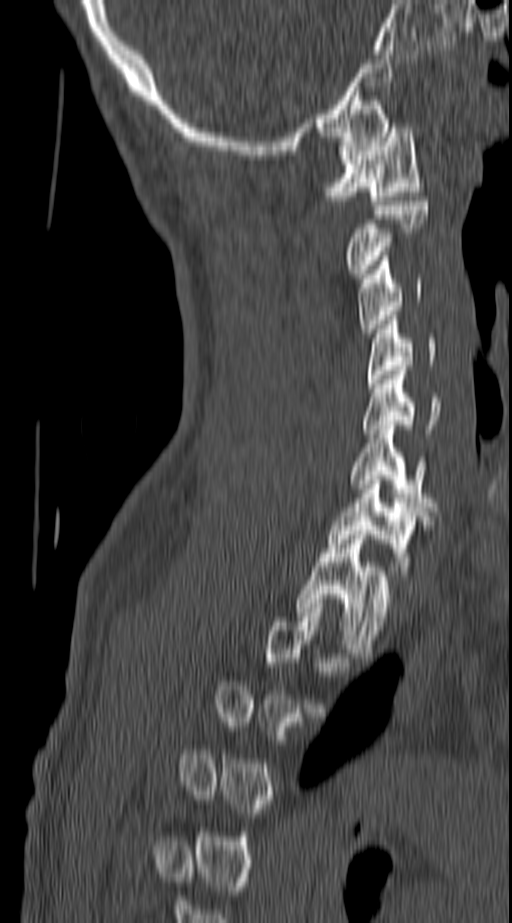
Spine computed tomography. sagittal reformat. Bone window (WL 400, WW 1800). 512x923 px
Boxes: x1:y1:x2:y2 in pixels.
A vertebra gets a box only on the slices from the first to the last where its cross-section is at least a third of its largest; on a slice outside that range it gets none.
C1: 323:123:424:200
C2: 345:201:428:278
C3: 358:256:423:333
C4: 367:320:436:388
C5: 363:370:439:438
C6: 349:425:436:511
C7: 327:480:426:580
T1: 294:530:395:657